CT spine. sagittal plane, index 245. part of the image has been replaced by a constant value
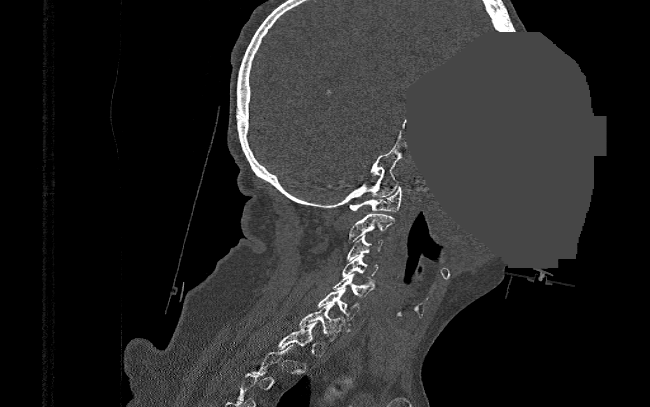

Boxes are given in columns x1, y1, x2, y2, the pixel coordinates of their top-left and bottom-right corners.
Each vertebra is boxed only on the slices from the first to the last where its cross-section reaches a third of its largest, so a slice outside that range leaves it unboxed.
| vertebra | x1 | y1 | x2 | y2 |
|---|---|---|---|---|
| T1 | 277 | 322 | 318 | 350 |
| C7 | 300 | 303 | 344 | 341 |
| C6 | 317 | 288 | 360 | 325 |
| C5 | 333 | 274 | 376 | 297 |
| C4 | 342 | 255 | 379 | 277 |
| C3 | 347 | 235 | 382 | 261 |
| C2 | 348 | 214 | 394 | 241 |
| C1 | 349 | 187 | 403 | 211 |